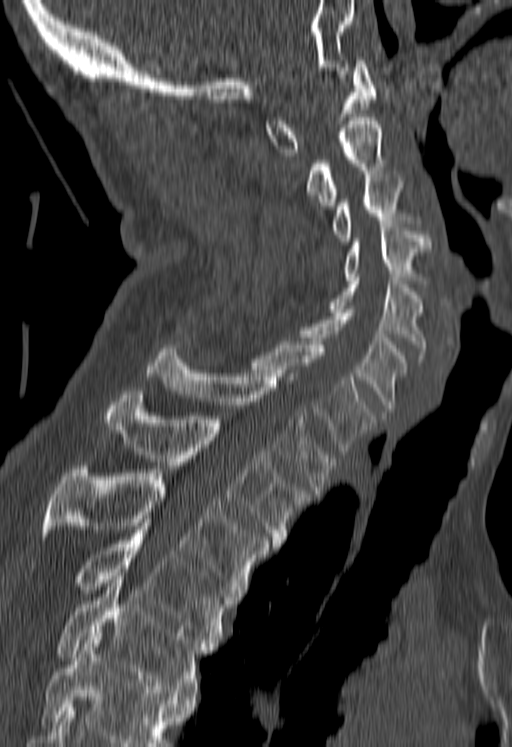
Spine CT — sagittal view — Bone window (WL 400, WW 1800) — 512x747 px

Each box is [x1, y1, x2, y2] in pixels: top-left corner, then bottom-right corner.
A vertebra cut off by the bottom edge of the scan is not labeled and has no box.
{"vertebrae":{"T5":[55,576,210,699],"T4":[75,523,230,646],"T3":[41,466,270,596],"T2":[103,391,310,547],"T1":[147,348,336,493],"C7":[251,341,373,454],"C6":[302,309,407,411],"C5":[331,277,427,358],"C4":[345,224,430,283],"C3":[334,174,407,241],"C2":[308,117,384,209],"C1":[265,57,375,155]}}